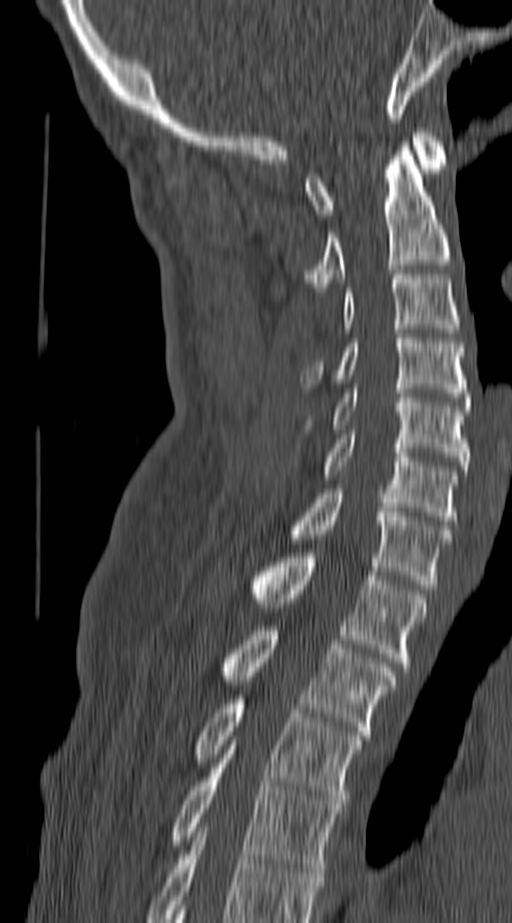 CT, spine — sagittal view — 512x923 px
Boxes: x1 y1 x2 y2 (pixel coords, space-separated).
In this scan, the topmost labeled vertebra is C1 and the lowest is T4.
Vertebra bounding boxes:
- T4: 173 741 340 872
- T3: 195 695 362 804
- T2: 224 626 395 735
- T1: 254 553 425 671
- C7: 294 489 450 589
- C6: 323 434 457 520
- C5: 334 389 468 470
- C4: 305 334 468 401
- C3: 345 274 457 333
- C2: 305 142 450 292
- C1: 305 128 447 218